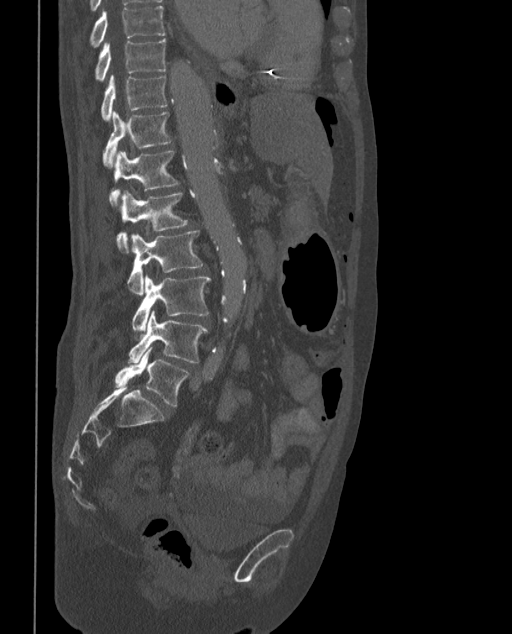

CT spine. sagittal view. Bone window (WL 400, WW 1800). Boxes: x1:y1:x2:y2 in pixels.
The labels name a sixth lumbar vertebra for this spine: L6, after L5.
T9: 89:5:165:47
T10: 95:40:166:81
T11: 100:75:168:121
T12: 103:111:172:167
L1: 110:151:179:204
L2: 116:190:188:252
L3: 127:230:203:295
L4: 132:275:210:334
L5: 129:311:207:362
L6: 115:347:188:407